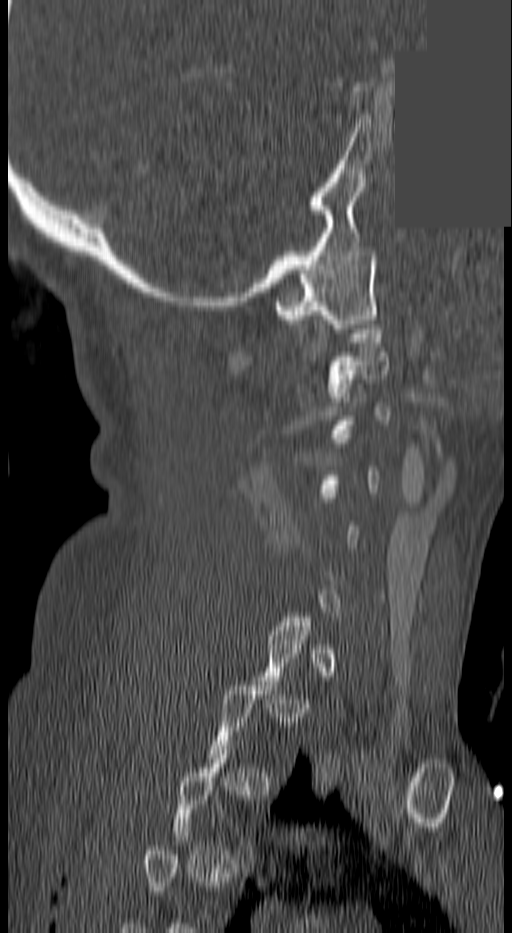

CT, spine; sagittal reformat; bone-window reconstruction; 512x933 px; a region is masked with a constant gray value
Each box given as x1,y1,x2,y2.
Each vertebra is boxed only on the slices from the first to the last where its cross-section reaches a third of its largest, so a slice outside that range leaves it unboxed.
C1: x1=272, y1=247, x2=377, y2=328
C2: x1=327, y1=320, x2=388, y2=401